CT. sagittal view. bone window. 371x594 px. scan covers 15 annotated vertebrae
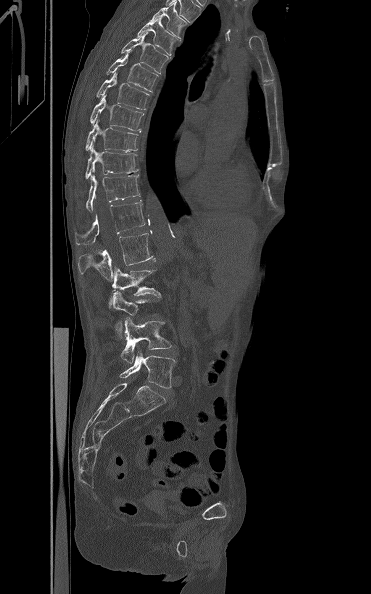

Each row gives a vertebra's box as x1, y1, x2, y2 in pixels: top-left corner, then bottom-right corner.
Not every vertebra on this slice has a box: a vertebra is boxed only from the first to the last slice where its cross-section is at least a third of its largest, and this slice is outside that range for at least one of them.
| vertebra | x1 | y1 | x2 | y2 |
|---|---|---|---|---|
| T3 | 149 | 2 | 186 | 38 |
| T4 | 137 | 19 | 177 | 55 |
| T5 | 121 | 32 | 168 | 73 |
| T6 | 106 | 51 | 158 | 92 |
| T7 | 96 | 72 | 149 | 109 |
| T8 | 90 | 94 | 144 | 131 |
| T9 | 85 | 119 | 138 | 151 |
| T10 | 85 | 146 | 138 | 179 |
| T11 | 85 | 175 | 140 | 211 |
| T12 | 75 | 200 | 145 | 244 |
| L1 | 78 | 230 | 155 | 280 |
| L2 | 109 | 267 | 161 | 306 |
| L4 | 120 | 318 | 172 | 363 |
| L5 | 119 | 351 | 175 | 388 |